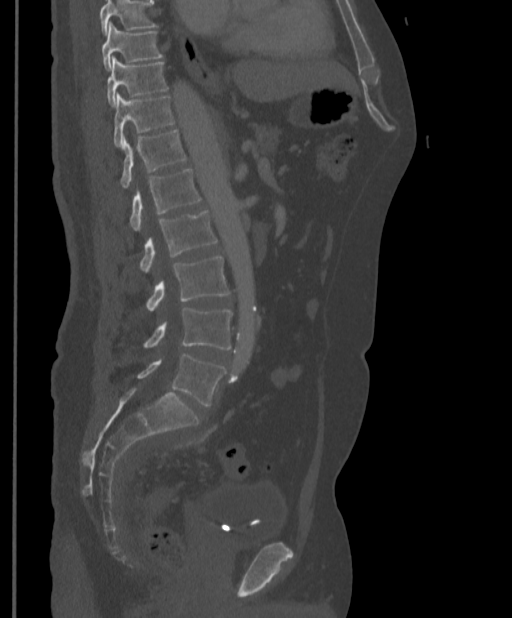 CT; sagittal reformat; 397 mm wide
Boxes: x1:y1:x2:y2 in pixels.
Where the top of the scan cuts through a vertebra, that vertebra gets no label or box.
Vertebra bounding boxes:
- T9: 102:22:163:70
- T10: 107:57:168:106
- T11: 113:93:174:147
- T12: 120:129:187:189
- L1: 130:168:201:231
- L2: 139:210:217:272
- L3: 146:257:231:311
- L4: 144:308:232:350
- L5: 137:353:225:405